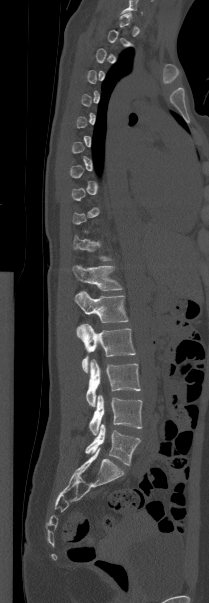

Computed tomography of the spine. sagittal view. Bone window (WL 400, WW 1800). Boxes: x1:y1:x2:y2 in pixels. A vertebra gets a box only on the slices from the first to the last where its cross-section is at least a third of its largest; on a slice outside that range it gets none. 6 vertebrae labeled — T12 at 73:265:122:291; L1 at 75:291:128:323; L2 at 77:323:135:372; L3 at 86:359:140:406; L4 at 89:394:142:435; L5 at 85:424:140:465.